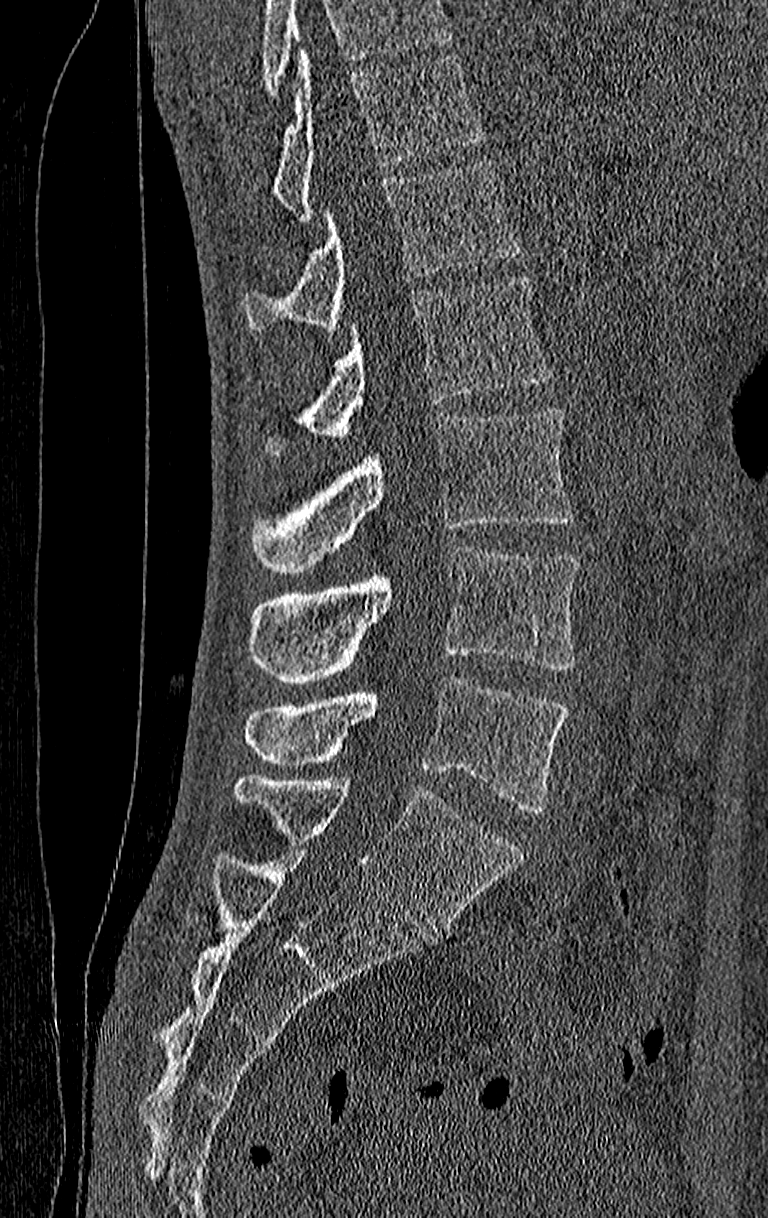
Computed tomography of the spine · sagittal reformat · Bone window (WL 400, WW 1800). Each box given as x1,y1,x2,y2.
No box is given to a vertebra that the top edge of the scan cuts off.
Labels in this scan begin with T11 at the top and end with L4 at the bottom.
| vertebra | x1 | y1 | x2 | y2 |
|---|---|---|---|---|
| L4 | 244 | 678 | 568 | 812 |
| L3 | 247 | 546 | 579 | 684 |
| L2 | 251 | 406 | 572 | 573 |
| L1 | 269 | 278 | 550 | 453 |
| T12 | 244 | 158 | 521 | 333 |
| T11 | 273 | 48 | 480 | 220 |